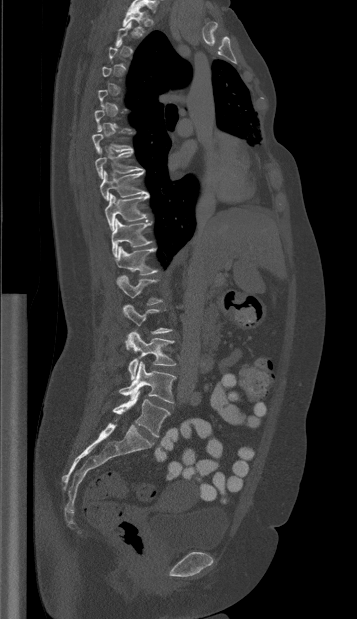

Computed tomography of the spine — image width 357 mm — sagittal view
Each box given as x1,y1,x2,y2.
Each vertebra is boxed only on the slices from the first to the last where its cross-section reaches a third of its largest, so a slice outside that range leaves it unboxed.
| vertebra | x1 | y1 | x2 | y2 |
|---|---|---|---|---|
| T1 | 122 | 3 | 147 | 32 |
| T8 | 95 | 147 | 144 | 178 |
| T9 | 100 | 171 | 149 | 200 |
| T10 | 105 | 194 | 148 | 230 |
| T11 | 111 | 219 | 151 | 257 |
| T12 | 115 | 246 | 157 | 275 |
| L1 | 117 | 275 | 162 | 304 |
| L3 | 128 | 330 | 175 | 379 |
| L4 | 119 | 361 | 175 | 403 |
| L5 | 112 | 391 | 170 | 436 |